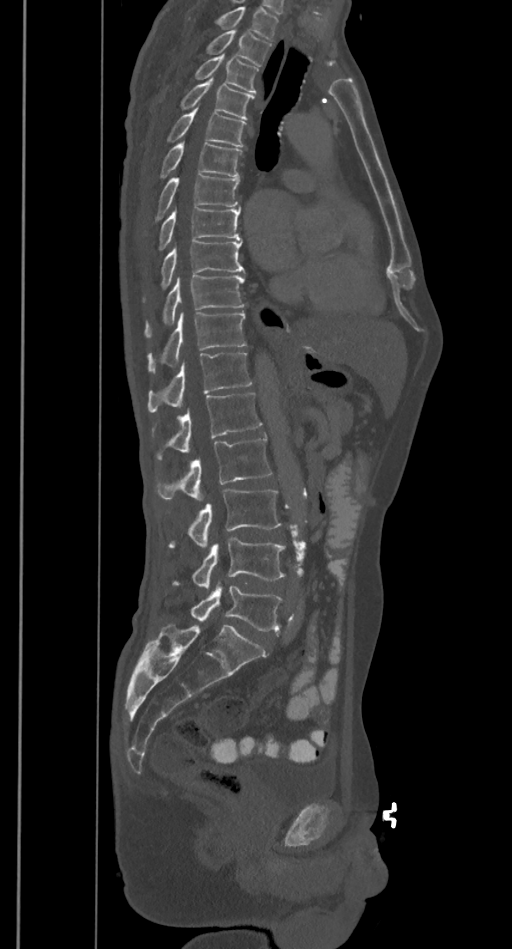 CT, spine · sagittal view · Bone window (WL 400, WW 1800)

Boxes: x1:y1:x2:y2 in pixels. No box is given to a vertebra that the top edge of the scan cuts off. Vertebrae labeled: T2 at 206:30:271:65, T3 at 195:54:258:94, T4 at 181:78:254:119, T5 at 167:108:246:146, T6 at 159:142:242:179, T7 at 155:175:240:220, T8 at 158:208:240:250, T9 at 161:239:244:289, T10 at 145:275:245:338, T11 at 147:311:246:372, T12 at 147:352:252:411, L1 at 153:391:262:459, L2 at 157:437:271:500, L3 at 169:490:281:548, L4 at 173:537:285:588, L5 at 190:582:282:630.